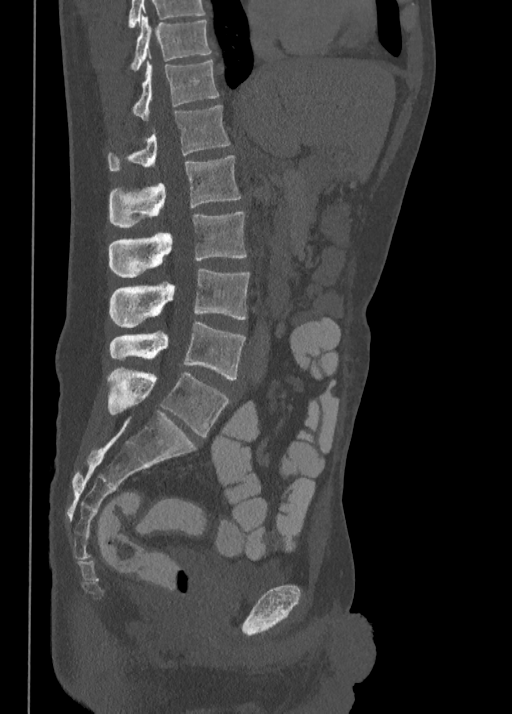 CT. image 350 mm wide. sagittal view. Bone window (WL 400, WW 1800)

Bounding boxes as [x1, y1, x2, y2] in pixel coordinates.
Labels in this scan begin with T10 at the top and end with L5 at the bottom.
Vertebra bounding boxes:
- T10: [128, 16, 211, 70]
- T11: [131, 59, 218, 119]
- T12: [108, 105, 230, 171]
- L1: [108, 155, 240, 227]
- L2: [108, 212, 246, 277]
- L3: [109, 269, 250, 327]
- L4: [109, 321, 245, 379]
- L5: [106, 369, 230, 436]